Spine CT · Sagittal slice 282/512 · 512x973 px
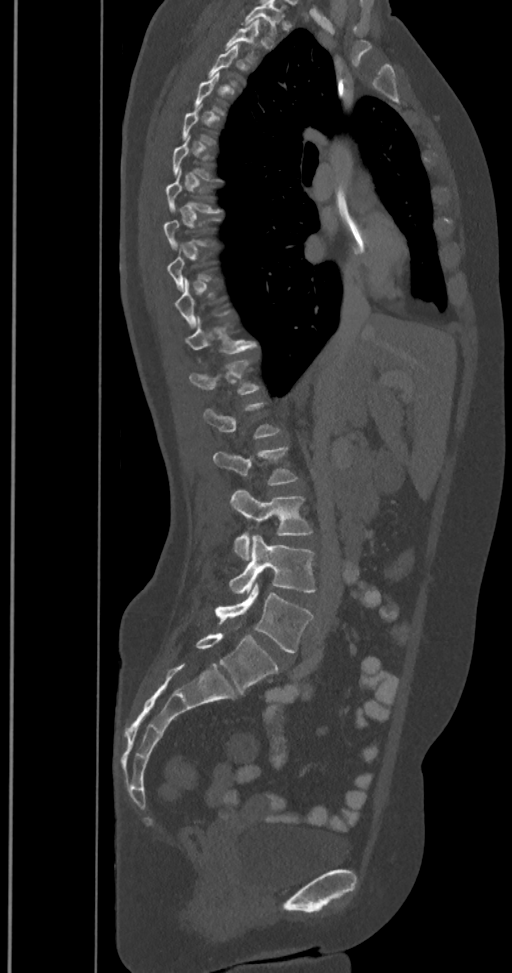 Boxes are (x1, y1, x2, y2) in pixels.
Each vertebra is boxed only on the slices from the first to the last where its cross-section reaches a third of its largest, so a slice outside that range leaves it unboxed.
In these labels the spine has an L6, a sixth lumbar vertebra below L5.
Vertebra bounding boxes:
- L6: (196, 633, 278, 692)
- L5: (215, 582, 313, 653)
- L4: (229, 535, 315, 593)
- L3: (229, 490, 312, 560)
- L2: (212, 446, 297, 485)
- T11: (184, 317, 256, 353)